CT, spine · sagittal reformat · the image is 222 mm wide
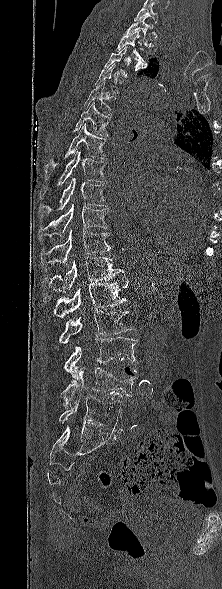
Not every vertebra on this slice has a box: a vertebra is boxed only from the first to the last slice where its cross-section is at least a third of its largest, and this slice is outside that range for at least one of them.
The highest labeled vertebra in this scan is T1; the lowest is L5.
<vertebrae><v name="T1" x1="126" y1="17" x2="156" y2="51"/><v name="T2" x1="115" y1="30" x2="147" y2="67"/><v name="T5" x1="84" y1="80" x2="115" y2="114"/><v name="T6" x1="73" y1="101" x2="110" y2="136"/><v name="T7" x1="44" y1="123" x2="105" y2="180"/><v name="T8" x1="40" y1="150" x2="106" y2="199"/><v name="T9" x1="39" y1="177" x2="107" y2="217"/><v name="T10" x1="39" y1="203" x2="108" y2="239"/><v name="T11" x1="41" y1="229" x2="111" y2="266"/><v name="T12" x1="40" y1="257" x2="124" y2="295"/><v name="L1" x1="53" y1="279" x2="128" y2="317"/><v name="L2" x1="59" y1="310" x2="135" y2="344"/><v name="L3" x1="64" y1="337" x2="137" y2="383"/><v name="L4" x1="62" y1="367" x2="138" y2="406"/><v name="L5" x1="59" y1="394" x2="124" y2="431"/></vertebrae>